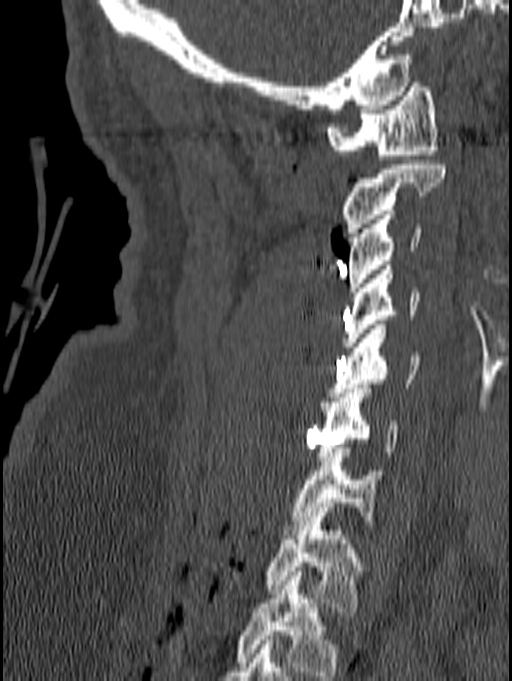
Spine computed tomography — sagittal view
Labels in this scan begin with C1 at the top and end with T1 at the bottom.
<vertebrae><v name="C1" x1="326" y1="78" x2="439" y2="159"/><v name="C2" x1="341" y1="160" x2="446" y2="237"/><v name="C3" x1="348" y1="210" x2="421" y2="296"/><v name="C4" x1="341" y1="265" x2="419" y2="346"/><v name="C5" x1="329" y1="325" x2="421" y2="397"/><v name="C6" x1="316" y1="384" x2="399" y2="461"/><v name="C7" x1="283" y1="448" x2="377" y2="534"/><v name="T1" x1="265" y1="517" x2="363" y2="612"/></vertebrae>